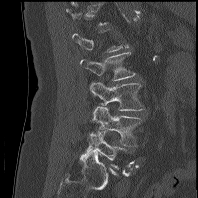 CT — sagittal view — bone-window reconstruction — 198x198 px

Each vertebra maps to its box as [x1, y1, x2, y2], the pixel coordinates of its top-left and bottom-right corners.
A vertebra is boxed only from the first to the last slice where its cross-section is at least a third of its largest; slices outside that range leave it without a box.
{"vertebrae":{"L2":[80,52,136,80],"L3":[89,82,144,110],"L4":[90,106,143,146],"L5":[80,132,125,169]}}